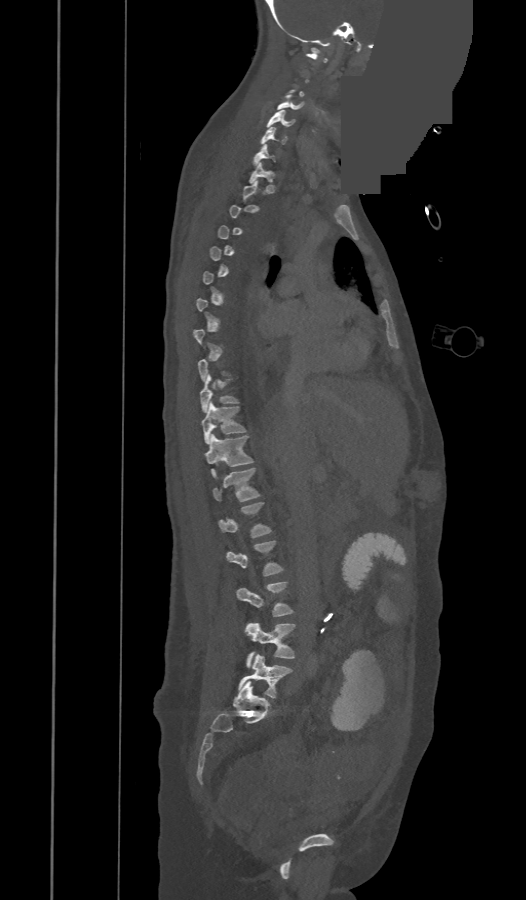 CT — sagittal view — 473 mm image width — an area of the scan was removed and filled with constant pixels
Each box given as x1,y1,x2,y2.
A vertebra is boxed only from the first to the last slice where its cross-section is at least a third of its largest; slices outside that range leave it without a box.
These labels give the spine a thirteenth thoracic vertebra: T13 sits between T12 and L1.
| vertebra | x1 | y1 | x2 | y2 |
|---|---|---|---|---|
| C4 | 278 | 95 | 302 | 109 |
| C5 | 267 | 110 | 294 | 127 |
| C6 | 261 | 127 | 286 | 144 |
| C7 | 254 | 145 | 274 | 165 |
| T1 | 248 | 162 | 272 | 182 |
| T10 | 200 | 373 | 238 | 411 |
| T11 | 201 | 401 | 245 | 444 |
| T12 | 204 | 435 | 253 | 476 |
| T13 | 214 | 468 | 259 | 501 |
| L1 | 219 | 502 | 271 | 537 |
| L2 | 227 | 541 | 282 | 576 |
| L3 | 237 | 581 | 293 | 616 |
| L4 | 245 | 622 | 295 | 667 |
| L5 | 239 | 655 | 292 | 698 |